CT, spine — Sagittal slice 245/512 — bone window
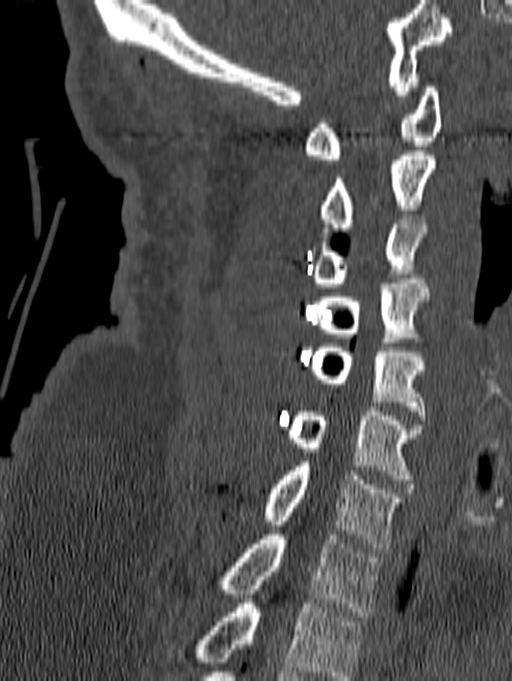 Box edges are left/top/right/bottom in pixels.
Labels in this scan begin with C1 at the top and end with T1 at the bottom.
Vertebra bounding boxes:
- C1: left=304, top=82, right=441, bottom=159
- C2: left=320, top=151, right=436, bottom=232
- C3: left=309, top=215, right=427, bottom=287
- C4: left=316, top=279, right=429, bottom=342
- C5: left=309, top=343, right=425, bottom=420
- C6: left=287, top=407, right=422, bottom=484
- C7: left=261, top=462, right=403, bottom=548
- T1: left=217, top=535, right=381, bottom=616